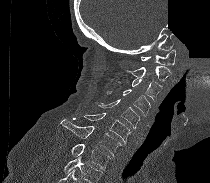

CT, spine · sagittal reformat · Bone window (WL 400, WW 1800) · 210x183 px · a region of this slice is masked with a uniform fill
Boxes below are [x1, y1, x2, y2] in pixels.
Where the bottom of the scan cuts through a vertebra, that vertebra gets no label or box.
{"vertebrae":{"T1":[71,144,110,170],"C7":[60,119,121,156],"C6":[83,113,131,144],"C5":[98,99,139,128],"C4":[107,89,150,115],"C3":[117,78,162,101],"C2":[125,66,171,81],"C1":[141,49,175,65]}}